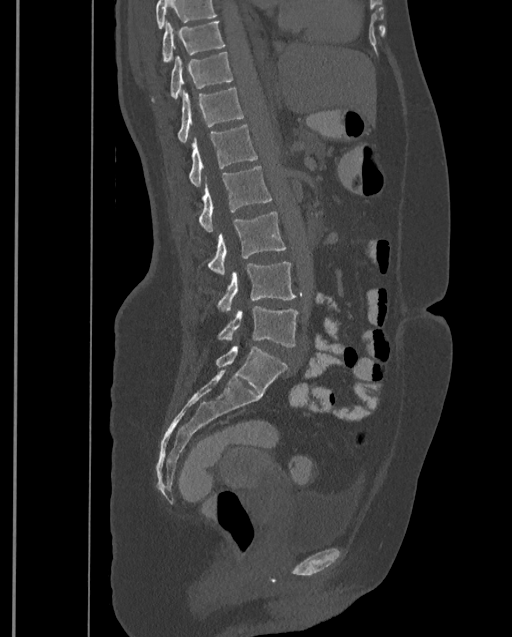
Computed tomography of the spine — sagittal view — W/L 1800/400 HU
Each row gives a vertebra's box as x1, y1, x2, y2 in pixels: top-left corner, then bottom-right corner.
No box is given to a vertebra that the top edge of the scan cuts off.
In this scan, the topmost labeled vertebra is T9 and the lowest is L4.
| vertebra | x1 | y1 | x2 | y2 |
|---|---|---|---|---|
| T9 | 162 | 21 | 226 | 61 |
| T10 | 151 | 51 | 232 | 103 |
| T11 | 177 | 87 | 244 | 142 |
| T12 | 188 | 125 | 257 | 186 |
| L1 | 197 | 165 | 272 | 231 |
| L2 | 208 | 211 | 286 | 274 |
| L3 | 217 | 262 | 295 | 311 |
| L4 | 218 | 306 | 298 | 347 |